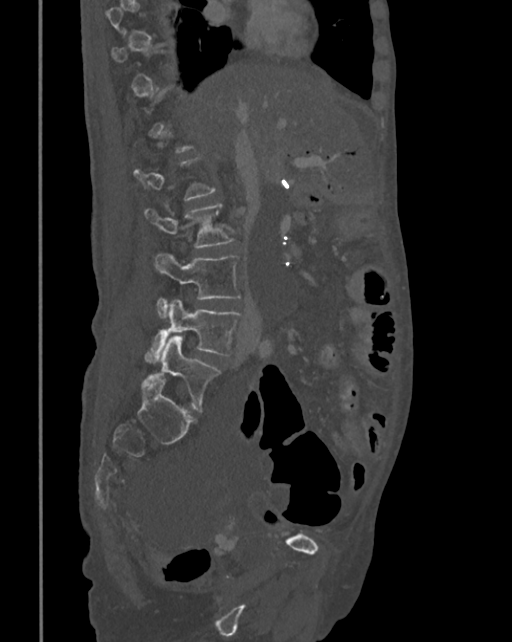 CT spine · sagittal view
Each box given as x1,y1,x2,y2.
A vertebra is boxed only from the first to the last slice where its cross-section is at least a third of its largest; slices outside that range leave it without a box.
| vertebra | x1 | y1 | x2 | y2 |
|---|---|---|---|---|
| L2 | 145 | 204 | 234 | 248 |
| L3 | 154 | 252 | 242 | 319 |
| L4 | 145 | 300 | 241 | 364 |
| L5 | 157 | 335 | 220 | 410 |